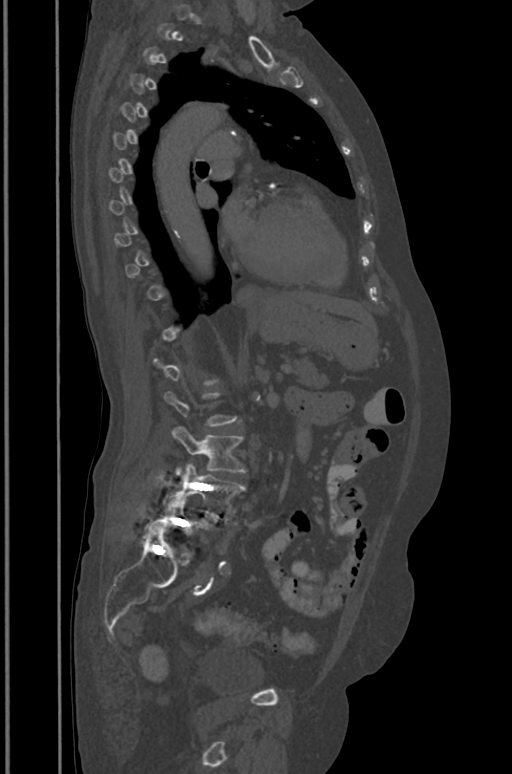

Spine computed tomography — sagittal view

Each vertebra maps to its box as [x1, y1, x2, y2], the pixel coordinates of its top-left and bottom-right corners.
Each vertebra is boxed only on the slices from the first to the last where its cross-section reaches a third of its largest, so a slice outside that range leaves it unboxed.
{"vertebrae":{"L3":[172,427,247,476],"L4":[164,463,244,518],"L5":[158,495,212,534]}}